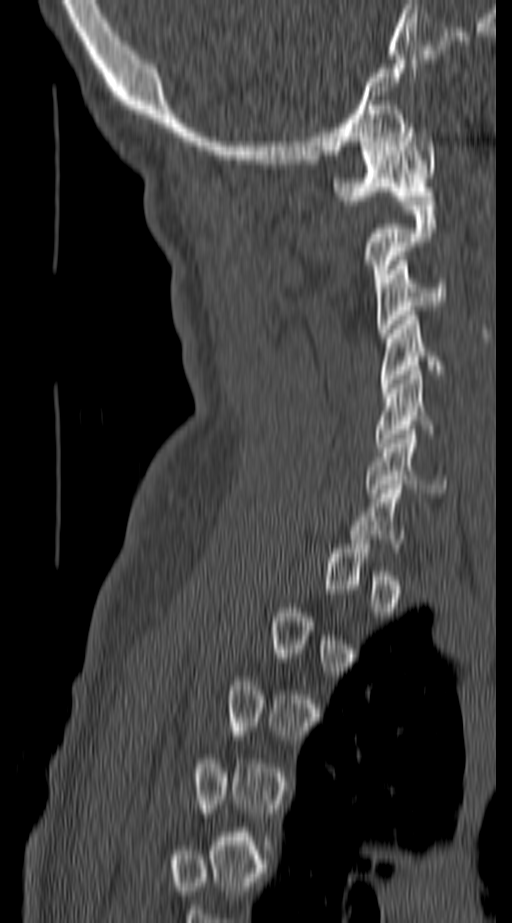 Computed tomography of the spine; sagittal reformat; 512x923 px. Boxes are (x1, y1, x2, y2) in pixels. A vertebra gets a box only on the slices from the first to the last where its cross-section is at least a third of its largest; on a slice outside that range it gets none. Vertebrae labeled: C1 at (334, 123, 436, 200), C2 at (366, 201, 436, 287), C3 at (378, 256, 446, 337), C4 at (382, 315, 443, 388), C5 at (373, 370, 432, 452), C6 at (365, 430, 446, 493).